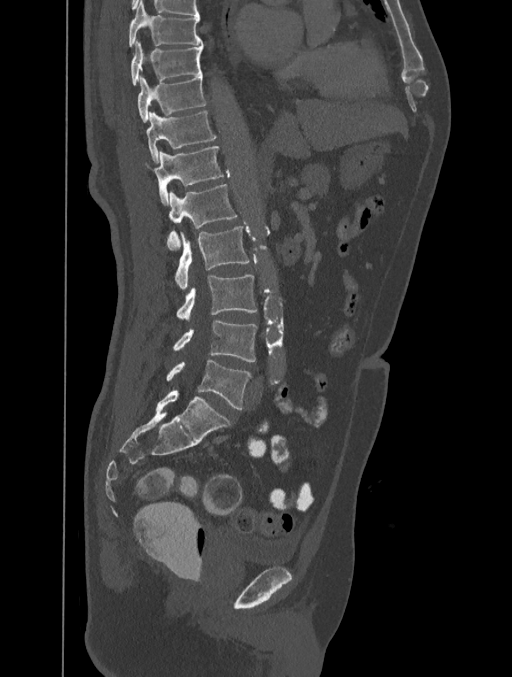
Computed tomography of the spine · sagittal view · 512x677 px. Each box given as x1,y1,x2,y2. The labeled vertebrae in this slice are: T8 at x1=129, y1=1, x2=202, y2=46, T9 at x1=130, y1=40, x2=203, y2=85, T10 at x1=138, y1=75, x2=206, y2=122, T11 at x1=147, y1=110, x2=216, y2=162, T12 at x1=144, y1=146, x2=224, y2=205, L1 at x1=167, y1=184, x2=238, y2=250, L2 at x1=175, y1=226, x2=249, y2=289, L3 at x1=176, y1=275, x2=257, y2=320, L4 at x1=174, y1=321, x2=257, y2=362, L5 at x1=166, y1=359, x2=250, y2=409.